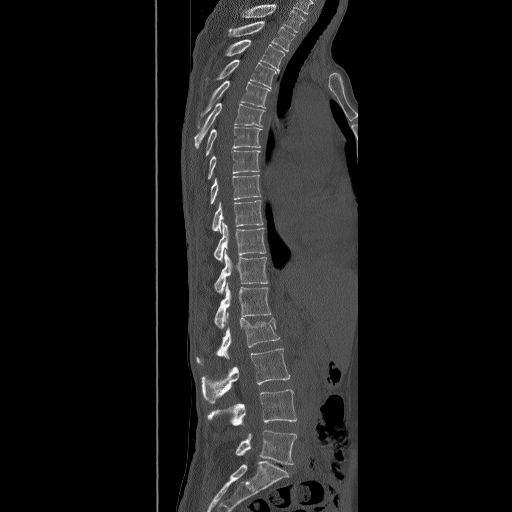
CT, spine. sagittal view. Bone window (WL 400, WW 1800). 512x512 px

In this scan, the topmost labeled vertebra is T2 and the lowest is L5.
<vertebrae><v name="T2" x1="227" y1="21" x2="295" y2="52"/><v name="T3" x1="225" y1="39" x2="284" y2="73"/><v name="T4" x1="212" y1="59" x2="276" y2="89"/><v name="T5" x1="197" y1="80" x2="270" y2="128"/><v name="T6" x1="194" y1="102" x2="265" y2="148"/><v name="T7" x1="205" y1="126" x2="262" y2="156"/><v name="T8" x1="208" y1="150" x2="260" y2="178"/><v name="T9" x1="209" y1="174" x2="260" y2="204"/><v name="T10" x1="212" y1="199" x2="263" y2="232"/><v name="T11" x1="213" y1="221" x2="266" y2="262"/><v name="T12" x1="213" y1="249" x2="268" y2="294"/><v name="L1" x1="213" y1="282" x2="271" y2="329"/><v name="L2" x1="197" y1="312" x2="279" y2="364"/><v name="L3" x1="201" y1="348" x2="290" y2="403"/><v name="L4" x1="207" y1="389" x2="297" y2="426"/><v name="L5" x1="235" y1="430" x2="297" y2="465"/></vertebrae>